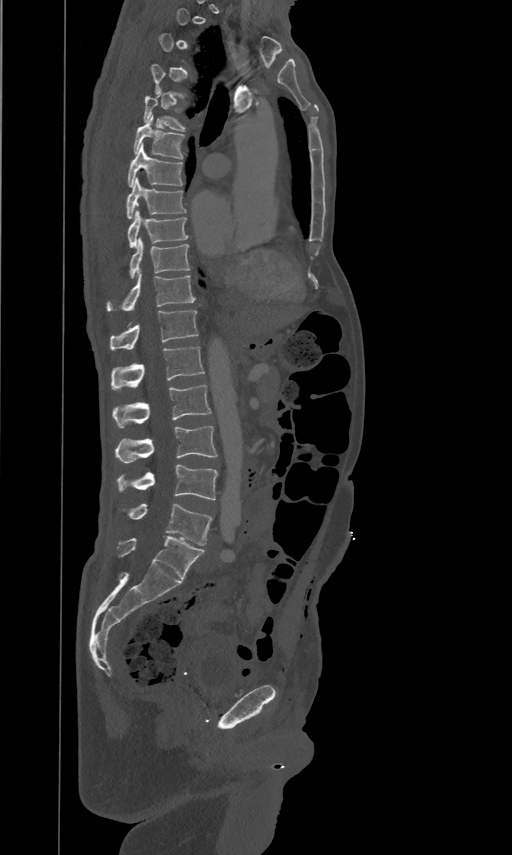
Spine computed tomography · sagittal view · 512x855 px

Boxes below are [x1, y1, x2, y2] in pixels.
Not every vertebra on this slice has a box: a vertebra is boxed only from the first to the last slice where its cross-section is at least a third of its largest, and this slice is outside that range for at least one of them.
{"vertebrae":{"T5":[143,91,186,130],"T6":[134,114,185,158],"T7":[128,142,182,185],"T8":[127,177,186,218],"T9":[128,210,188,246],"T10":[129,237,190,278],"T11":[107,273,195,310],"T12":[110,310,198,349],"L1":[111,345,204,388],"L2":[112,384,211,427],"L3":[116,425,217,463],"L4":[118,465,217,500],"L5":[130,504,212,545]}}